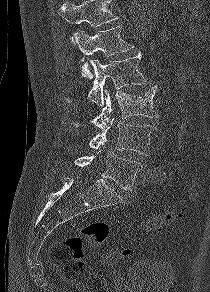 CT spine · sagittal view · bone window. Coordinates as <box>x1,y1,x2,y2</box>. No box is given to a vertebra that the top edge of the scan cuts off. 5 vertebrae labeled — L1 at <box>73,25,133,78</box>; L2 at <box>64,51,146,106</box>; L3 at <box>68,86,158,129</box>; L4 at <box>89,118,156,155</box>; L5 at <box>74,153,139,190</box>.